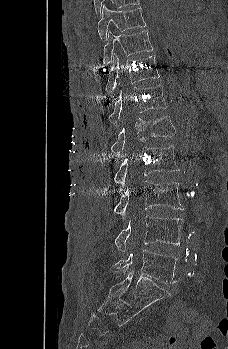

Spine CT · sagittal view · the image is 228 mm wide
Each box given as x1,y1,x2,y2.
| vertebra | x1 | y1 | x2 | y2 |
|---|---|---|---|---|
| L5 | 112 | 250 | 178 | 283 |
| L4 | 114 | 215 | 183 | 252 |
| L3 | 114 | 180 | 184 | 216 |
| L2 | 114 | 145 | 179 | 185 |
| L1 | 110 | 116 | 175 | 157 |
| T12 | 108 | 85 | 167 | 127 |
| T11 | 105 | 53 | 159 | 95 |
| T10 | 102 | 30 | 153 | 64 |
| T9 | 97 | 5 | 146 | 40 |